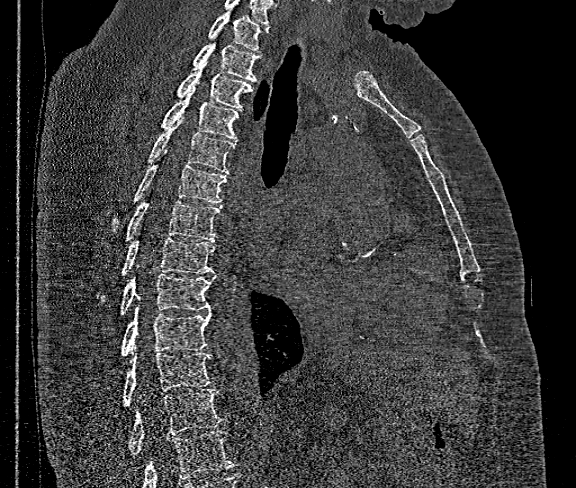 CT, spine. sagittal view. W/L 1800/400 HU. 576x488 px
Boxes: x1 y1 x2 y2 (pixel coords, space-separated).
No box is given to a vertebra that the bottom edge of the scan cuts off.
Vertebra bounding boxes:
- T1: 208 9 268 52
- T2: 193 30 260 83
- T3: 178 63 254 110
- T4: 161 87 241 140
- T5: 148 118 234 174
- T6: 114 150 226 228
- T7: 126 200 219 241
- T8: 121 237 215 275
- T9: 119 274 216 315
- T10: 121 304 212 356
- T11: 123 352 213 406
- T12: 129 389 226 454